CT spine; sagittal reformat
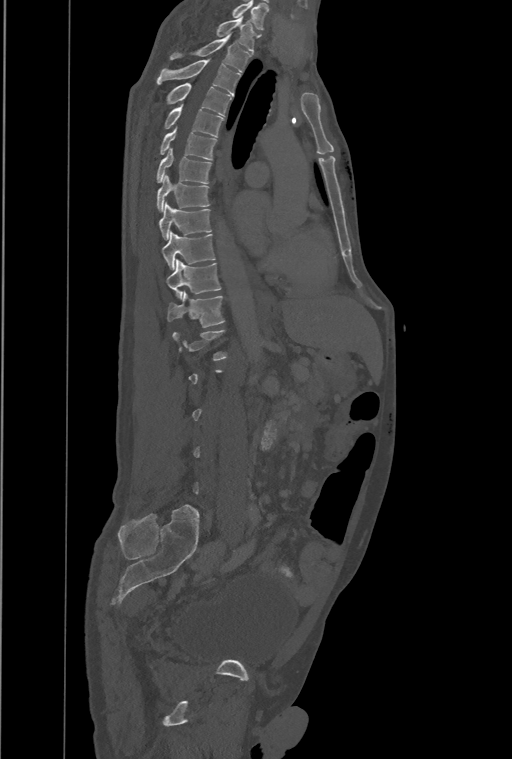
Boxes: x1:y1:x2:y2 in pixels. Each vertebra is boxed only on the slices from the first to the last where its cross-section reaches a third of its largest, so a slice outside that range leaves it unboxed. This scan's labels start at T1 at the top and end at L4 at the bottom. The labeled vertebrae in this slice are: T1 at 217:16:254:51, T2 at 171:34:249:71, T3 at 157:59:239:94, T4 at 165:82:231:115, T5 at 164:105:223:137, T6 at 160:129:216:159, T7 at 156:148:212:183, T8 at 156:176:210:211, T9 at 158:204:212:240, T10 at 162:232:215:270, T11 at 167:260:221:298, T12 at 167:291:225:327.